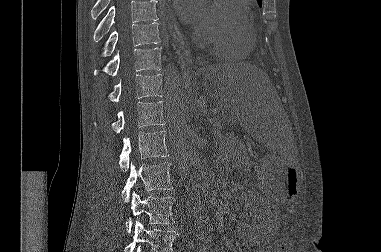
Spine CT · sagittal reformat. Box edges are left/top/right/bottom in pixels.
Where the top or bottom of the scan cuts through a vertebra, that vertebra gets no label or box.
Vertebra bounding boxes:
- L3: left=125, top=191, right=174, bottom=233
- L2: left=121, top=162, right=172, bottom=202
- L1: left=119, top=131, right=169, bottom=171
- T12: left=94, top=101, right=164, bottom=133
- T11: left=108, top=74, right=162, bottom=102
- T10: left=94, top=48, right=161, bottom=75
- T9: left=102, top=22, right=160, bottom=56